Computed tomography of the spine; sagittal plane, index 291; 658x798 px
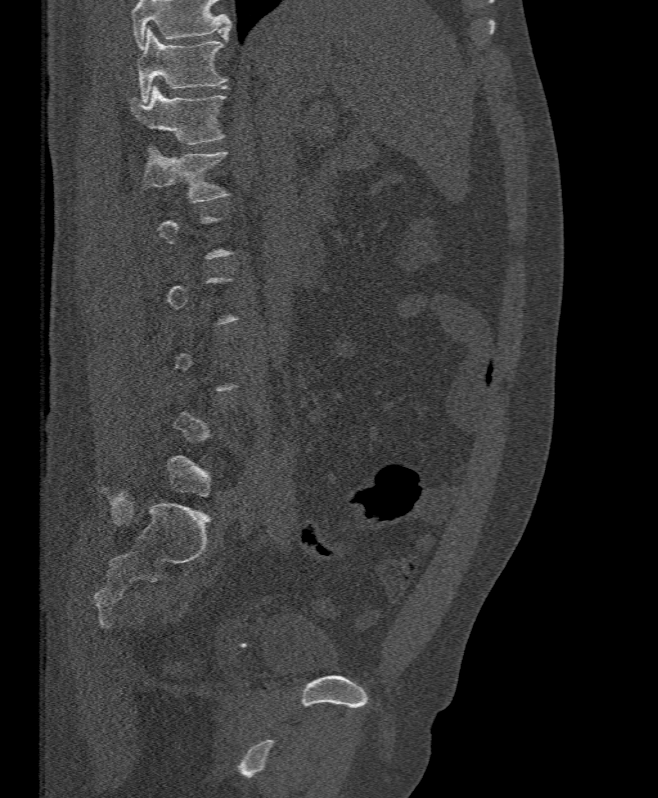
Box edges are left/top/right/bottom in pixels.
Each vertebra is boxed only on the slices from the first to the last where its cross-section reaches a third of its largest, so a slice outside that range leaves it unboxed.
A vertebra cut off by the top edge of the scan is not labeled and has no box.
T11: left=136, top=28, right=227, bottom=102
T12: left=130, top=85, right=227, bottom=144
L1: left=143, top=147, right=230, bottom=202